Spine CT; sagittal reformat; 512x963 px
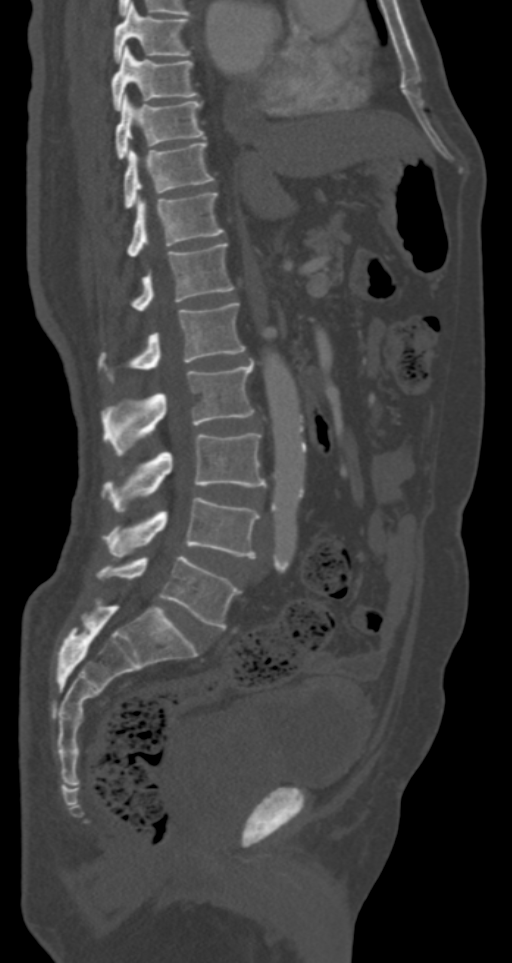

Boxes are (x1, y1, x2, y2) in pixels.
T7: (112, 4, 191, 63)
T8: (112, 46, 198, 109)
T9: (116, 94, 206, 159)
T10: (123, 142, 214, 209)
T11: (126, 192, 223, 257)
T12: (130, 242, 234, 311)
L1: (98, 303, 245, 382)
L2: (101, 362, 254, 455)
L3: (101, 433, 266, 512)
L4: (103, 497, 259, 558)
L5: (96, 556, 241, 628)